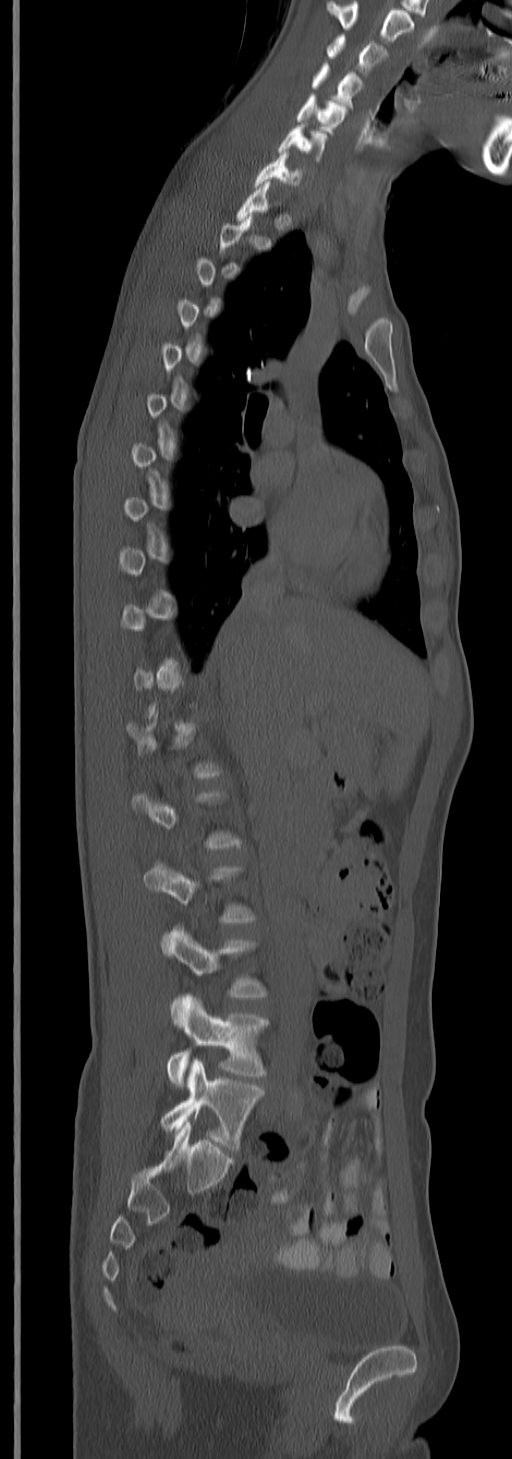
Computed tomography of the spine · sagittal view · W/L 1800/400 HU. Bounding boxes as [x1, y1, x2, y2] in pixel coordinates. Each vertebra is boxed only on the slices from the first to the last where its cross-section reaches a third of its largest, so a slice outside that range leaves it unboxed. This scan's labels start at C3 at the top and end at L5 at the bottom. The labeled vertebrae in this slice are: C3 at [327, 34, 386, 75], C4 at [312, 63, 363, 105], C5 at [295, 95, 346, 133], C6 at [276, 124, 328, 160], C7 at [253, 151, 305, 188], L3 at [161, 924, 267, 1026], L4 at [166, 993, 269, 1086], L5 at [161, 1058, 265, 1149].